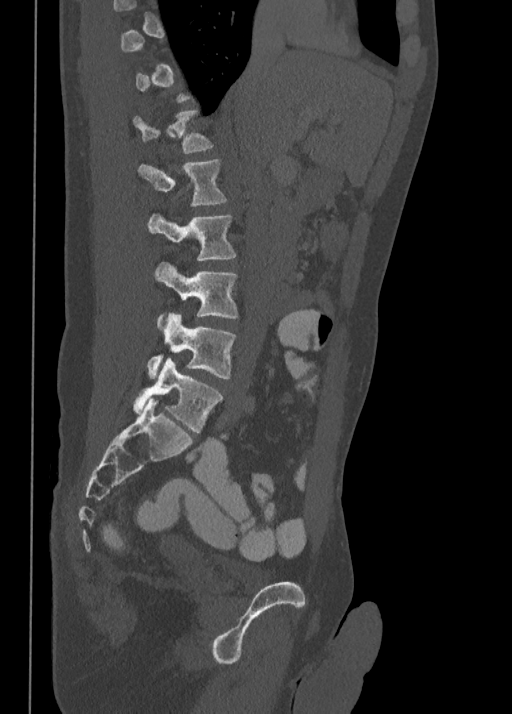 CT, spine — sagittal view — W/L 1800/400 HU
Boxes are (x1, y1, x2, y2) in pixels.
A vertebra is boxed only from the first to the last slice where its cross-section is at least a third of its largest; slices outside that range leave it without a box.
Vertebra bounding boxes:
- T12: (133, 109, 212, 153)
- L1: (137, 159, 227, 204)
- L2: (148, 213, 236, 261)
- L3: (155, 262, 237, 328)
- L4: (148, 313, 236, 378)
- L5: (133, 357, 223, 432)